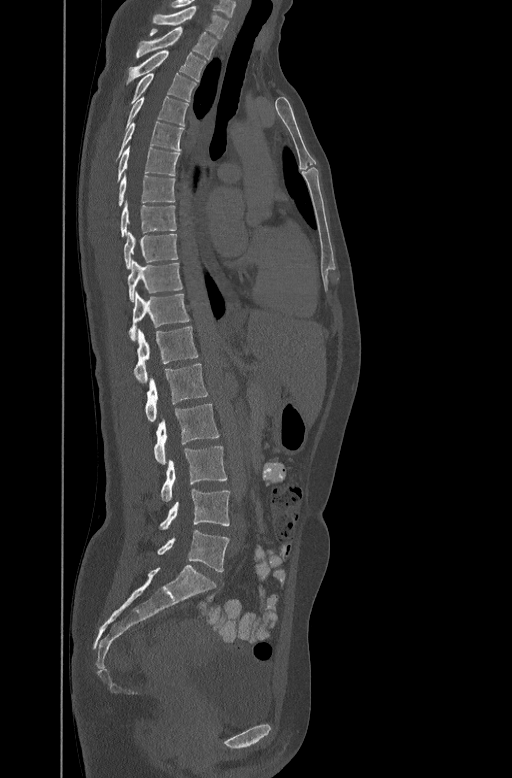 Computed tomography of the spine · sagittal reformat · bone-window reconstruction · image width 447 mm
Box edges are left/top/right/bottom in pixels.
| vertebra | x1 | y1 | x2 | y2 |
|---|---|---|---|---|
| L5 | 157 | 530 | 229 | 571 |
| L4 | 159 | 489 | 230 | 529 |
| L3 | 160 | 446 | 227 | 500 |
| L2 | 153 | 404 | 219 | 464 |
| L1 | 145 | 363 | 207 | 421 |
| T12 | 134 | 325 | 198 | 381 |
| T11 | 129 | 291 | 189 | 339 |
| T10 | 127 | 259 | 182 | 300 |
| T9 | 124 | 231 | 178 | 268 |
| T8 | 120 | 200 | 176 | 236 |
| T7 | 118 | 172 | 175 | 206 |
| T6 | 117 | 145 | 180 | 179 |
| T5 | 118 | 120 | 183 | 156 |
| T4 | 127 | 95 | 188 | 125 |
| T3 | 131 | 72 | 196 | 102 |
| T2 | 127 | 49 | 206 | 81 |
| T1 | 136 | 27 | 218 | 58 |
| C7 | 152 | 5 | 229 | 37 |